Spine computed tomography · Sagittal slice 43/61
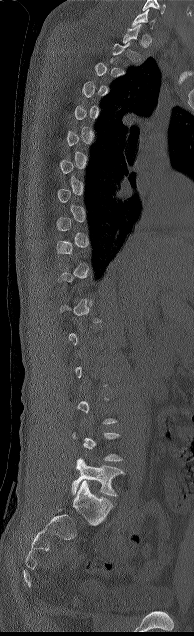
In the table, x1 and y1 are a box's top-left corner and x2 and y2 its bottom-right corner, in pixels.
A vertebra gets a box only on the slices from the first to the last where its cross-section is at least a third of its largest; on a slice outside that range it gets none.
| vertebra | x1 | y1 | x2 | y2 |
|---|---|---|---|---|
| L5 | 71 | 458 | 124 | 496 |
| C7 | 131 | 9 | 155 | 28 |